CT, spine; sagittal reformat; Bone window (WL 400, WW 1800); 512x760 px; scan covers 10 annotated vertebrae
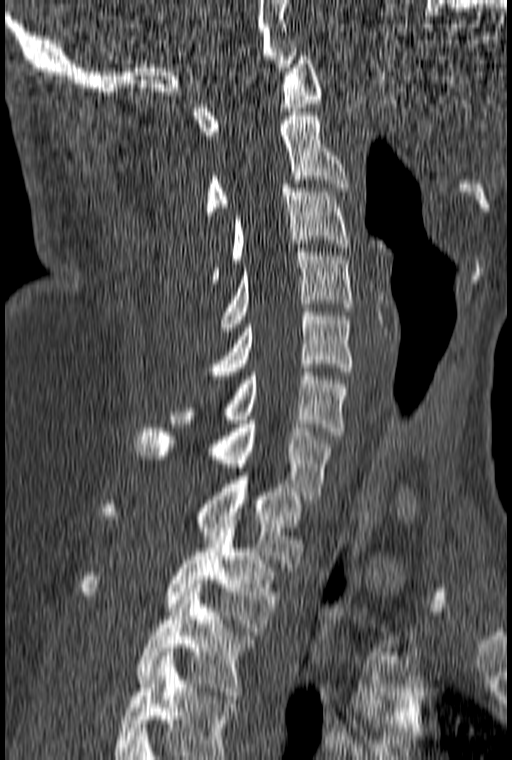 This scan's labels start at C1 at the top and end at T3 at the bottom.
<vertebrae><v name="C1" x1="193" y1="56" x2="322" y2="135"/><v name="C2" x1="206" y1="112" x2="348" y2="215"/><v name="C3" x1="209" y1="184" x2="349" y2="283"/><v name="C4" x1="220" y1="248" x2="352" y2="327"/><v name="C5" x1="206" y1="308" x2="352" y2="379"/><v name="C6" x1="170" y1="372" x2="349" y2="435"/><v name="C7" x1="136" y1="420" x2="333" y2="499"/><v name="T1" x1="100" y1="476" x2="307" y2="567"/><v name="T2" x1="78" y1="524" x2="279" y2="631"/><v name="T3" x1="136" y1="584" x2="256" y2="699"/></vertebrae>